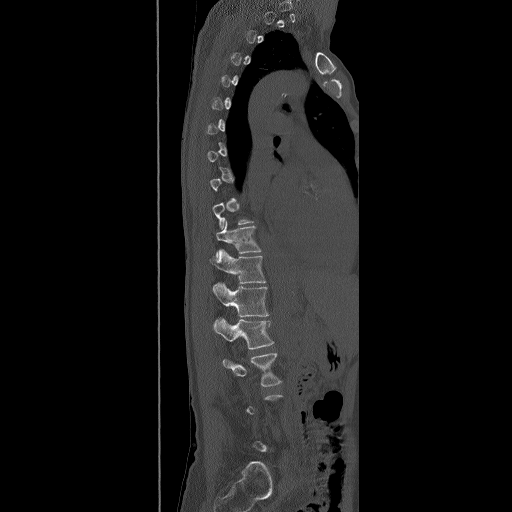

CT. 490 mm wide. sagittal view
Boxes: x1:y1:x2:y2 in pixels.
Each vertebra is boxed only on the slices from the first to the last where its cross-section reaches a third of its largest, so a slice outside that range leaves it unboxed.
Vertebra bounding boxes:
- L3: 223:353:281:386
- L2: 212:317:274:349
- L1: 212:282:269:316
- T12: 209:248:266:290
- T11: 216:219:262:258